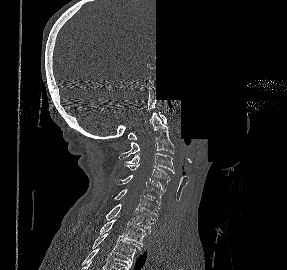

Spine CT — sagittal view — bone window — 287x270 px — a portion of the image is blanked out (constant pixel value)
<vertebrae><v name="T2" x1="92" y1="233" x2="140" y2="262"/><v name="T1" x1="99" y1="216" x2="145" y2="246"/><v name="C7" x1="105" y1="204" x2="156" y2="230"/><v name="C6" x1="114" y1="189" x2="160" y2="218"/><v name="C5" x1="115" y1="175" x2="164" y2="205"/><v name="C4" x1="125" y1="164" x2="170" y2="191"/><v name="C3" x1="124" y1="153" x2="174" y2="173"/><v name="C2" x1="119" y1="112" x2="174" y2="159"/><v name="C1" x1="128" y1="111" x2="166" y2="139"/></vertebrae>